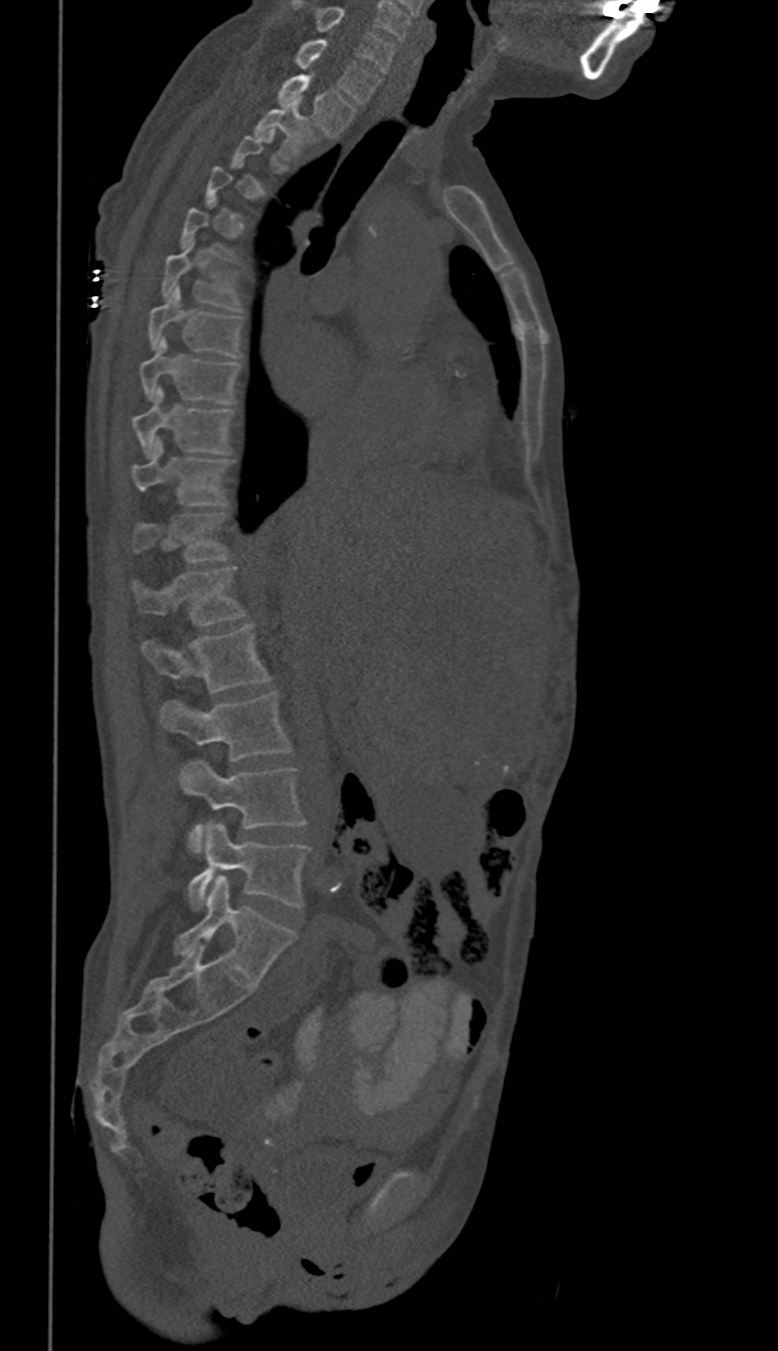

Spine CT — sagittal reformat
Boxes: x1 y1 x2 y2 (pixel coords, space-separated).
A vertebra gets a box only on the slices from the first to the last where its cross-section is at least a third of its largest; on a slice outside that range it gets none.
These labels give this spine no T12: after T11 the next vertebra is L1.
Vertebra bounding boxes:
- L5: 187 823 310 908
- L4: 179 760 303 853
- L3: 160 692 292 759
- L2: 141 625 269 693
- L1: 134 567 245 626
- T11: 134 514 227 562
- T10: 131 438 230 506
- T9: 134 387 231 457
- T8: 140 338 241 404
- T7: 149 287 241 357
- T6: 163 243 241 308
- T2: 255 100 312 155
- T1: 278 74 354 135
- C7: 295 38 379 104
- C6: 293 1 394 71